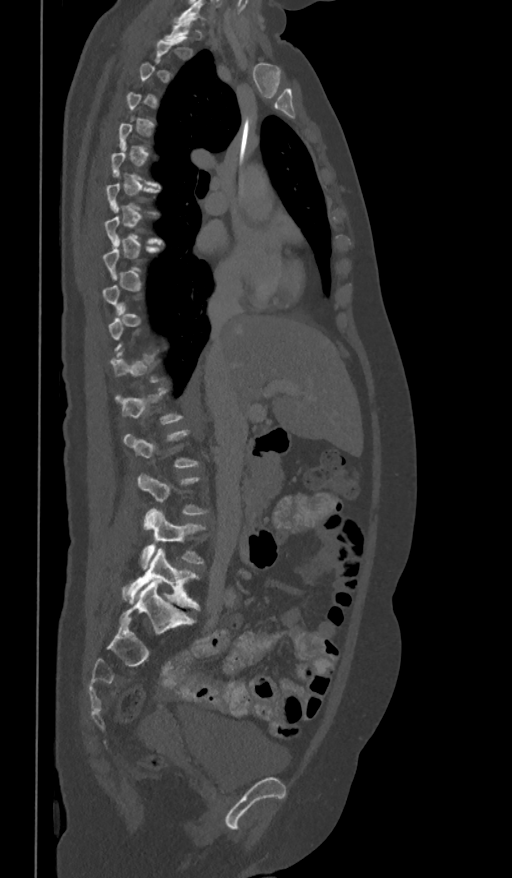

CT, spine — 361 mm image width — sagittal view
Boxes are (x1, y1, x2, y2) in pixels. Not every vertebra on this slice has a box: a vertebra is boxed only from the first to the last slice where its cross-section is at least a third of its largest, and this slice is outside that range for at least one of them. The labeled vertebrae in this slice are: L4 at (142, 508, 203, 568), L5 at (122, 548, 199, 609).